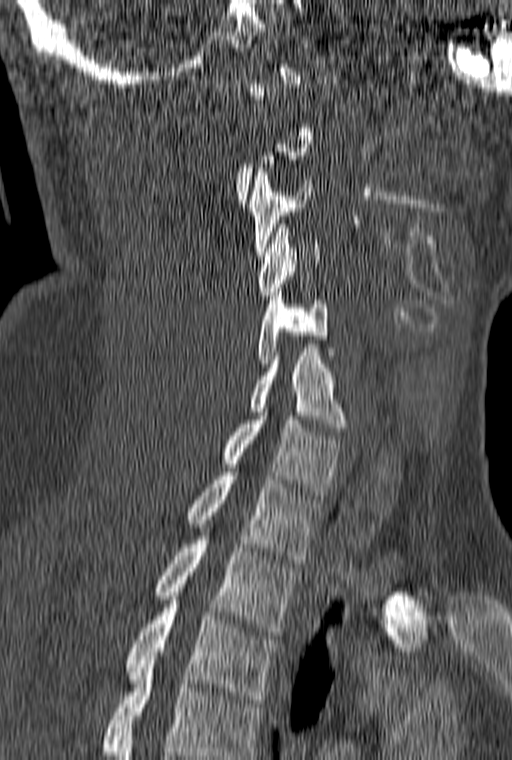

Computed tomography of the spine · 160 mm wide · sagittal reformat · bone-window reconstruction · 512x760 px
A vertebra is boxed only from the first to the last slice where its cross-section is at least a third of its largest; slices outside that range leave it without a box.
The highest labeled vertebra in this scan is C1; the lowest is T3.
<vertebrae><v name="C3" x1="248" y1="168" x2="312" y2="255"/><v name="C4" x1="257" y1="224" x2="320" y2="295"/><v name="C5" x1="257" y1="292" x2="336" y2="367"/><v name="C6" x1="248" y1="348" x2="346" y2="431"/><v name="C7" x1="222" y1="412" x2="343" y2="495"/><v name="T1" x1="187" y1="472" x2="321" y2="563"/><v name="T2" x1="155" y1="528" x2="298" y2="635"/><v name="T3" x1="126" y1="596" x2="279" y2="703"/></vertebrae>